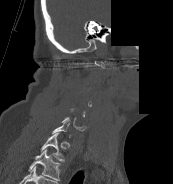 CT spine — sagittal view — some of the image was removed or blocked out with constant pixels

Box values are [left, top, right, bottom] in pixels.
A vertebra gets a box only on the slices from the first to the last where its cross-section is at least a third of its largest; on a slice outside that range it gets none.
The highest labeled vertebra in this scan is C1; the lowest is T1.
{"vertebrae":{"C7":[52,117,70,137],"T1":[40,133,64,161]}}